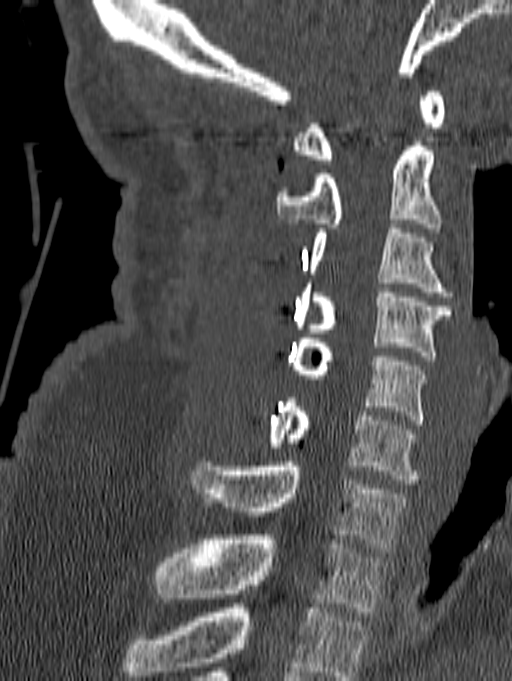
CT spine · sagittal reformat · Bone window (WL 400, WW 1800) · 512x681 px
The highest labeled vertebra in this scan is C1; the lowest is T1.
<vertebrae><v name="T1" x1="155" y1="535" x2="385" y2="616"/><v name="C7" x1="192" y1="462" x2="406" y2="552"/><v name="C6" x1="268" y1="398" x2="419" y2="484"/><v name="C5" x1="290" y1="338" x2="426" y2="424"/><v name="C4" x1="296" y1="283" x2="450" y2="360"/><v name="C3" x1="309" y1="229" x2="453" y2="296"/><v name="C2" x1="276" y1="142" x2="441" y2="232"/><v name="C1" x1="292" y1="91" x2="444" y2="164"/></vertebrae>